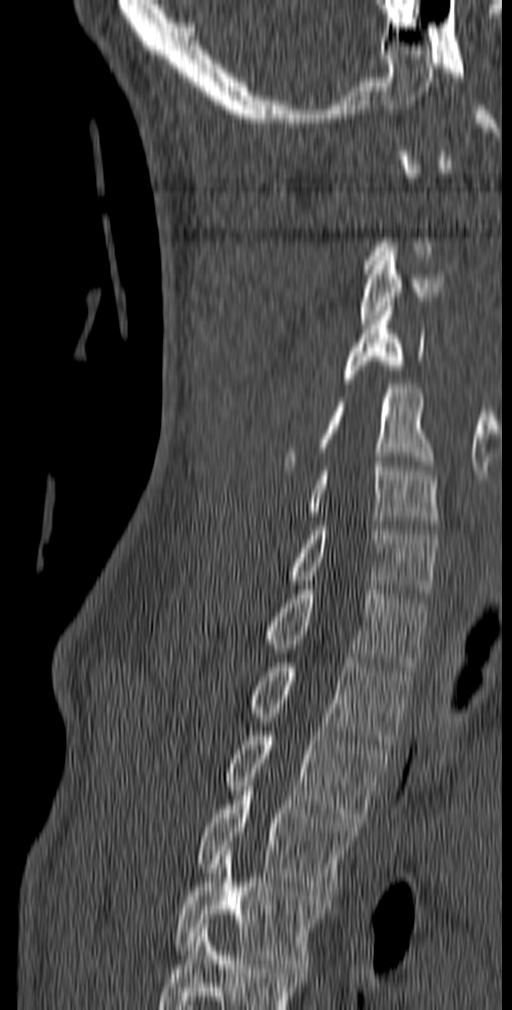
Spine CT. sagittal view. Bone window (WL 400, WW 1800)
Box edges are left/top/right/bottom in pixels.
A vertebra gets a box only on the slices from the first to the last where its cross-section is at least a third of its largest; on a slice outside that range it gets none.
Labels in this scan begin with C1 at the top and end with T5 at the bottom.
Vertebra bounding boxes:
- T5: left=173, top=846, right=322, bottom=968
- T4: left=199, top=786, right=359, bottom=900
- T3: left=224, top=727, right=387, bottom=822
- T2: left=250, top=658, right=412, bottom=744
- T1: left=264, top=585, right=427, bottom=671
- C7: left=288, top=521, right=438, bottom=598
- C6: left=308, top=462, right=439, bottom=529
- C5: left=284, top=384, right=432, bottom=470
- C4: left=344, top=302, right=425, bottom=383
- C3: left=359, top=247, right=444, bottom=324